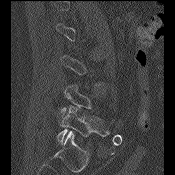

Spine CT · sagittal view · 175 mm image width
Coordinates as <box>x1,y1,x2,y2</box>.
A vertebra gets a box only on the slices from the first to the last where its cross-section is at least a third of its largest; on a slice outside that range it gets none.
Vertebra bounding boxes:
- L5: <box>57,105,109,143</box>
- L4: <box>60,84,100,119</box>